Spine computed tomography; sagittal view; 512x705 px; 8 vertebrae labeled in this scan
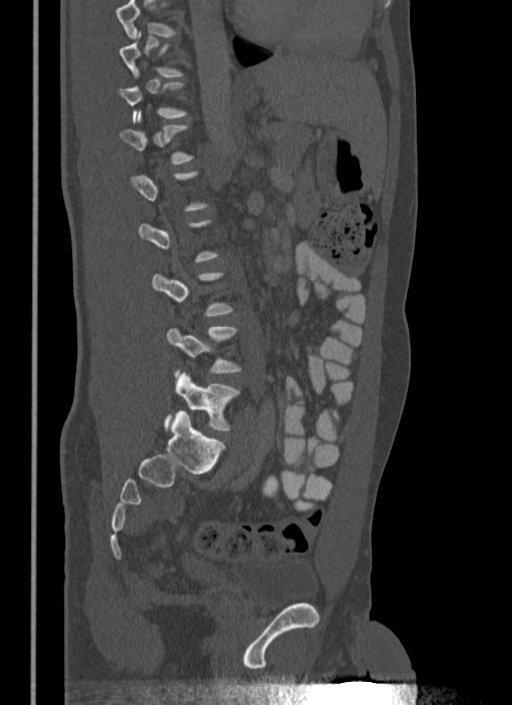

Each box is [x1, y1, x2, y2] in pixels: top-left corner, then bottom-right corner.
Each vertebra is boxed only on the slices from the first to the last where its cross-section reaches a third of its largest, so a slice outside that range leaves it unboxed.
{"vertebrae":{"L4":[167,327,241,372],"L5":[165,372,240,431]}}